Spine CT. sagittal reformat. W/L 1800/400 HU. 17 vertebrae labeled in this scan
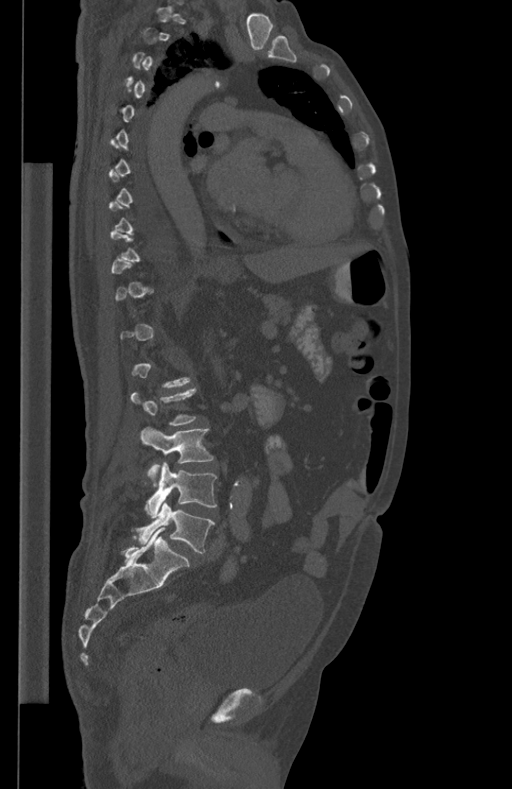
A vertebra gets a box only on the slices from the first to the last where its cross-section is at least a third of its largest; on a slice outside that range it gets none.
<vertebrae><v name="L3" x1="140" y1="427" x2="214" y2="484"/><v name="L4" x1="145" y1="462" x2="217" y2="518"/><v name="L5" x1="136" y1="501" x2="215" y2="553"/></vertebrae>